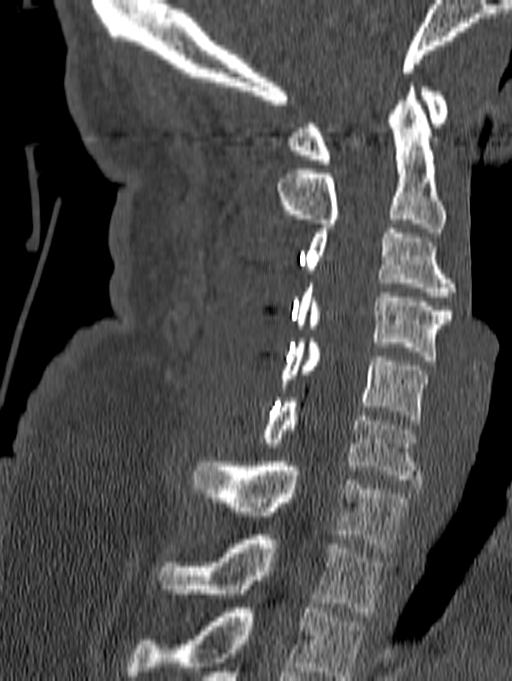

Computed tomography of the spine; sagittal view; bone window

Box values are [left, top, right, bottom] in pixels.
In this scan, the topmost labeled vertebra is C1 and the lowest is T1.
{"vertebrae":{"T1":[157,535,386,616],"C7":[192,462,410,552],"C6":[261,398,421,484],"C5":[279,338,428,424],"C4":[294,283,450,360],"C3":[306,229,456,301],"C2":[276,82,446,232],"C1":[289,87,447,164]}}